Computed tomography of the spine — sagittal reformat — 445 mm wide
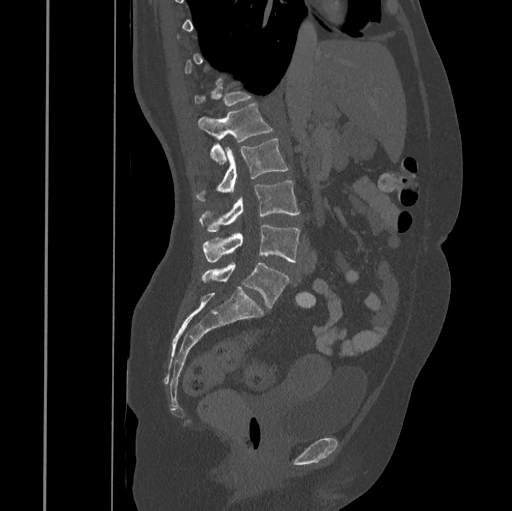
Boxes are (x1, y1, x2, y2) in pixels.
Not every vertebra on this slice has a box: a vertebra is boxed only from the first to the last slice where its cross-section is at least a third of its largest, and this slice is outside that range for at least one of them.
L1: (198, 104, 273, 164)
L2: (196, 139, 288, 201)
L3: (199, 180, 299, 232)
L4: (202, 224, 299, 262)
L5: (201, 262, 289, 308)